CT; sagittal plane, index 48; bone window; scan covers 9 annotated vertebrae; an area of the scan was removed and filled with constant pixels
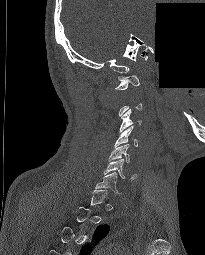 Boxes: x1:y1:x2:y2 in pixels. Each vertebra is boxed only on the slices from the first to the last where its cross-section reaches a third of its largest, so a slice outside that range leaves it unboxed. The labeled vertebrae in this slice are: C7 at 95:172:120:194, C6 at 104:159:136:181, C5 at 108:144:129:162, C4 at 113:125:137:147, C3 at 119:108:141:132, C1 at 115:75:139:89.